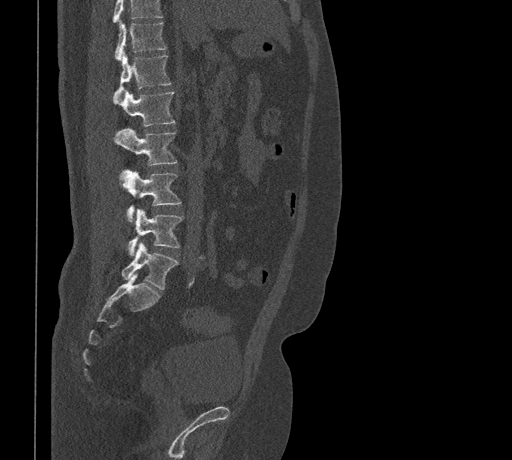 Computed tomography of the spine; sagittal reformat. Each box given as x1,y1,x2,y2. Where the top of the scan cuts through a vertebra, that vertebra gets no label or box. The labeled vertebrae in this slice are: T11 at x1=114, y1=21, x2=166, y2=60, T12 at x1=113, y1=52, x2=171, y2=101, L1 at x1=118, y1=90, x2=174, y2=126, L2 at x1=113, y1=128, x2=176, y2=165, L3 at x1=122, y1=170, x2=181, y2=221, L4 at x1=127, y1=208, x2=182, y2=256, L5 at x1=121, y1=242, x2=177, y2=289.